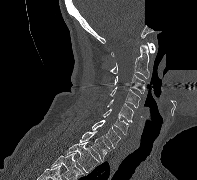
Spine computed tomography. sagittal reformat. part of the image has been replaced by a constant value
Box values are [left, top, right, bottom] in pixels.
{"vertebrae":{"C1":[111,42,155,56],"C2":[110,44,149,78],"C3":[114,74,145,93],"C4":[110,87,140,108],"C5":[106,99,133,122],"C6":[103,109,129,134],"C7":[92,120,121,148],"T1":[79,131,110,161],"T2":[66,142,100,172]}}